CT spine — the image spans 196 mm across — sagittal reformat — 196x196 px
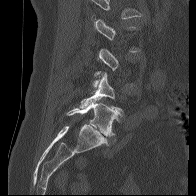 Each vertebra maps to its box as [x1, y1, x2, y2], the pixel coordinates of its top-left and bottom-right corners.
A vertebra gets a box only on the slices from the first to the last where its cross-section is at least a third of its largest; on a slice outside that range it gets none.
{"vertebrae":{"L5":[66,99,118,136],"L4":[79,73,122,114]}}